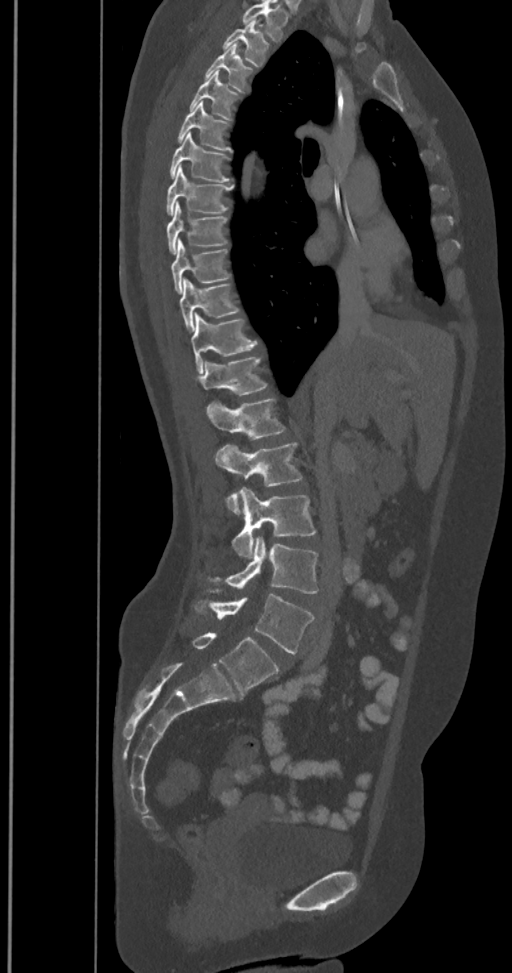
Spine CT — sagittal reformat — 512x973 px — image 350 mm wide

Box edges are left/top/right/bottom in pixels. In this scan, the topmost labeled vertebra is T2 and the lowest is L6. These labels give the spine a sixth lumbar vertebra, L6, below L5. The labeled vertebrae in this slice are: L6 at left=191, top=632, right=280, bottom=694, L5 at left=191, top=590, right=315, bottom=653, L4 at left=207, top=537, right=319, bottom=593, L3 at left=232, top=487, right=316, bottom=559, L2 at left=215, top=442, right=303, bottom=514, L1 at left=207, top=398, right=285, bottom=440, T12 at left=199, top=357, right=268, bottom=408, T11 at left=191, top=312, right=258, bottom=372, T10 at left=180, top=278, right=240, bottom=332, T9 at left=171, top=238, right=231, bottom=294, T8 at left=167, top=203, right=228, bottom=252, T7 at left=165, top=163, right=233, bottom=216, T6 at left=169, top=132, right=231, bottom=182, T5 at left=177, top=101, right=231, bottom=152, T4 at left=188, top=71, right=240, bottom=120, T3 at left=205, top=45, right=253, bottom=92, T2 at left=222, top=21, right=269, bottom=66.